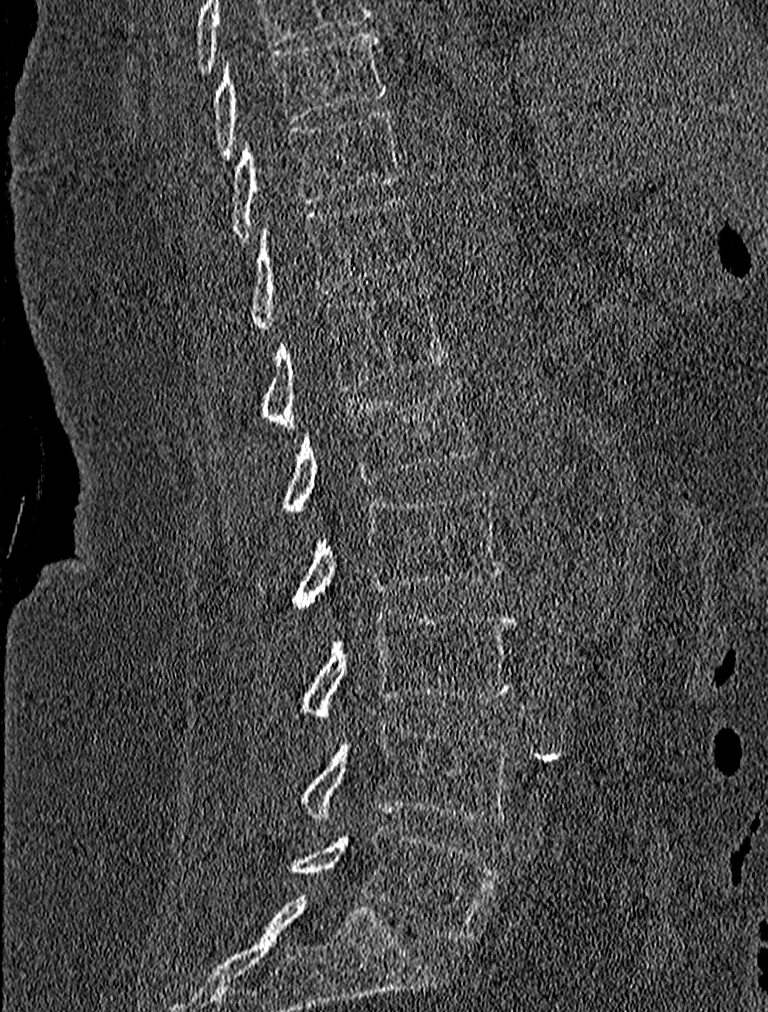 CT, spine; sagittal view
Box values are [left, top, right, bottom] in pixels.
{"vertebrae":{"T9":[212,30,387,159],"T10":[229,108,400,240],"T11":[246,196,421,328],"T12":[259,288,448,428],"L1":[283,379,478,512],"L2":[293,487,502,606],"L3":[297,611,515,718],"L4":[297,719,513,823],"L5":[290,824,499,941]}}